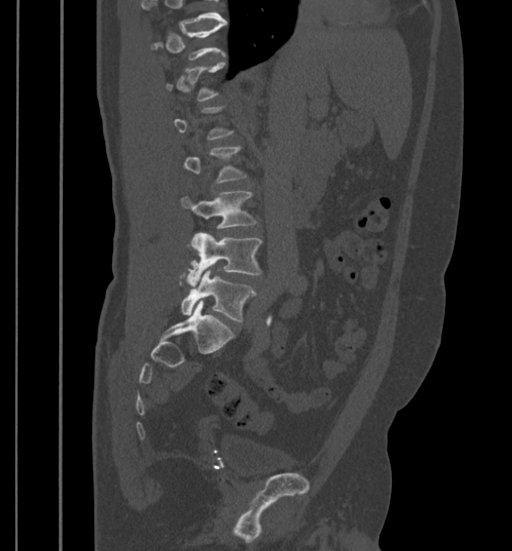
Computed tomography of the spine; sagittal view; bone window
Not every vertebra on this slice has a box: a vertebra is boxed only from the first to the last slice where its cross-section is at least a third of its largest, and this slice is outside that range for at least one of them.
<vertebrae><v name="L3" x1="181" y1="191" x2="257" y2="228"/><v name="L4" x1="188" y1="232" x2="262" y2="284"/><v name="L5" x1="181" y1="269" x2="255" y2="322"/></vertebrae>